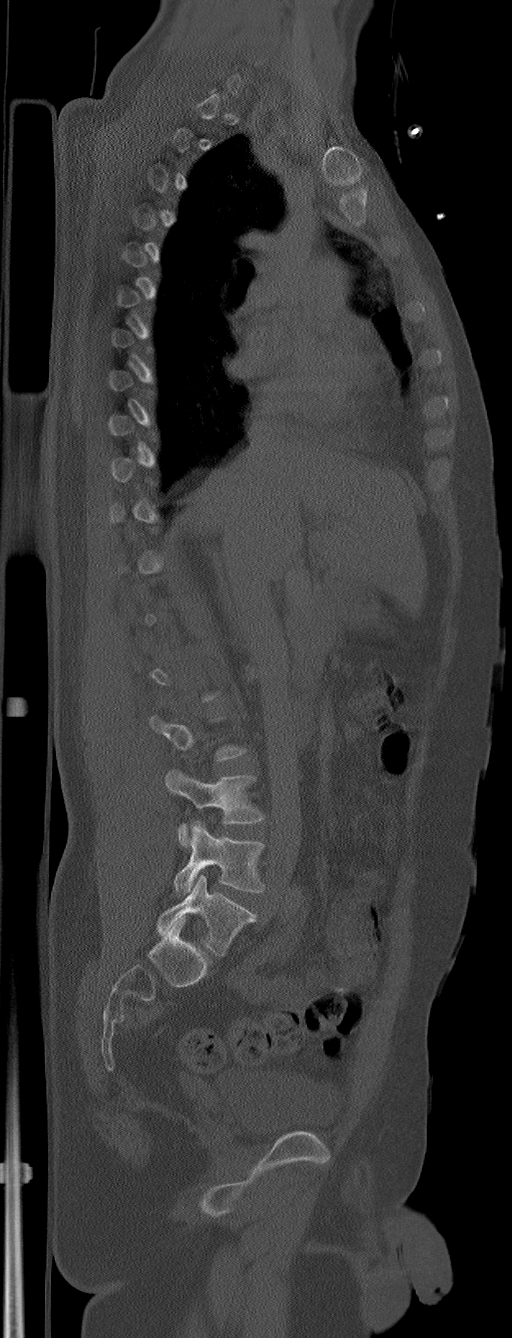

CT spine — 305 mm across the image — sagittal view — bone window — 512x1338 px
Boxes: x1 y1 x2 y2 (pixel coords, space-separated).
A vertebra gets a box only on the slices from the first to the last where its cross-section is at least a third of its largest; on a slice outside that range it gets none.
The labels name a sixth lumbar vertebra for this spine: L6, after L5.
L4: 165 769 265 847
L5: 173 821 265 895
L6: 156 875 256 955